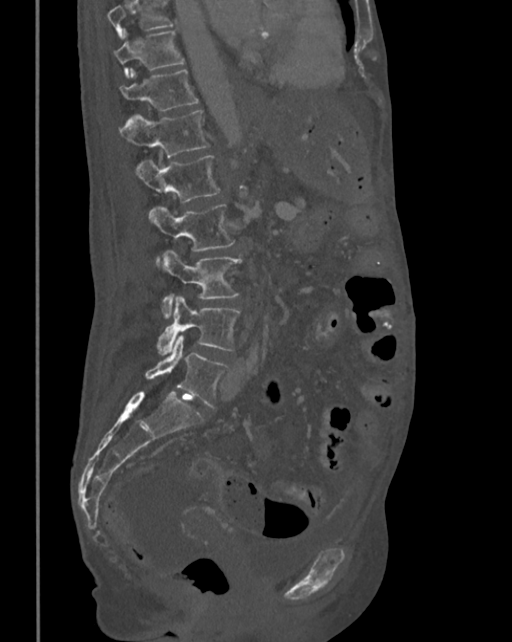
Spine computed tomography — sagittal view — 512x642 px. Each box given as x1,y1,x2,y2.
Vertebrae that run past the top of the scan are left unlabeled.
T10: x1=114, y1=30, x2=185, y2=76
T11: x1=119, y1=69, x2=198, y2=110
T12: x1=120, y1=110, x2=208, y2=157
L1: x1=136, y1=155, x2=220, y2=202
L2: x1=149, y1=204, x2=234, y2=251
L3: x1=161, y1=250, x2=241, y2=317
L4: x1=157, y1=296, x2=240, y2=355
L5: x1=145, y1=334, x2=229, y2=408